CT, spine; Sagittal slice 267/512; 512x642 px; scan covers 8 annotated vertebrae
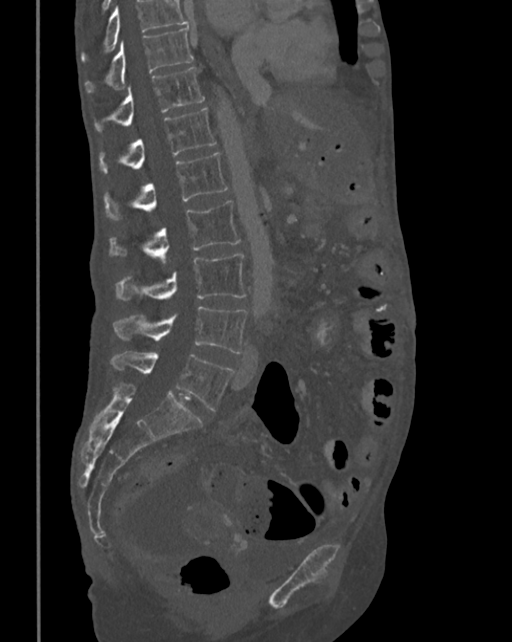
Box values are [left, top, right, bottom] in pixels.
A vertebra cut off by the top edge of the scan is not labeled and has no box.
{"vertebrae":{"T10":[85,25,193,92],"T11":[94,66,204,131],"T12":[100,108,216,172],"L1":[105,153,228,218],"L2":[109,201,241,264],"L3":[117,254,246,301],"L4":[114,306,247,353],"L5":[111,352,232,411]}}